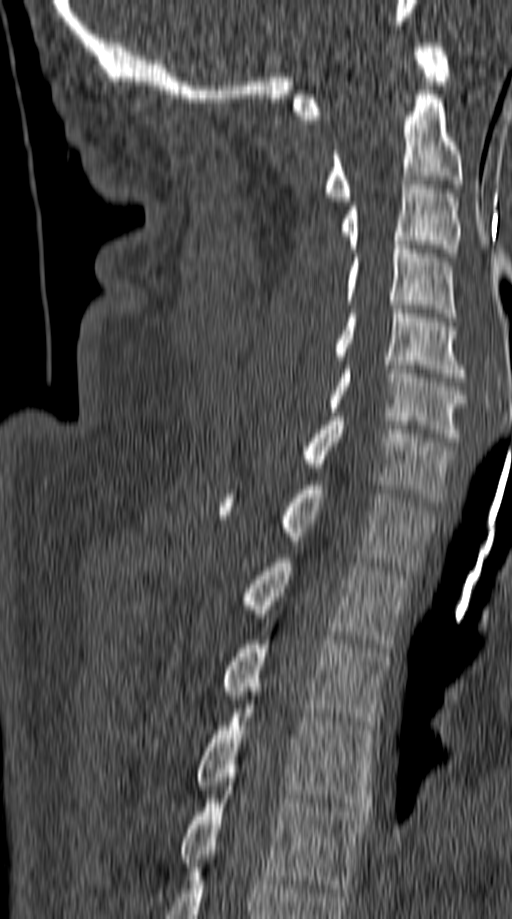

CT spine. sagittal view. W/L 1800/400 HU
<vertebrae><v name="T5" x1="180" y1="777" x2="367" y2="892"/><v name="T4" x1="194" y1="704" x2="375" y2="811"/><v name="T3" x1="221" y1="640" x2="389" y2="729"/><v name="T2" x1="242" y1="558" x2="409" y2="652"/><v name="T1" x1="218" y1="481" x2="433" y2="570"/><v name="C7" x1="300" y1="417" x2="454" y2="502"/><v name="C6" x1="328" y1="365" x2="466" y2="441"/><v name="C5" x1="334" y1="305" x2="466" y2="377"/><v name="C4" x1="346" y1="241" x2="457" y2="321"/><v name="C3" x1="341" y1="180" x2="461" y2="257"/><v name="C2" x1="324" y1="86" x2="464" y2="201"/><v name="C1" x1="294" y1="43" x2="450" y2="119"/></vertebrae>